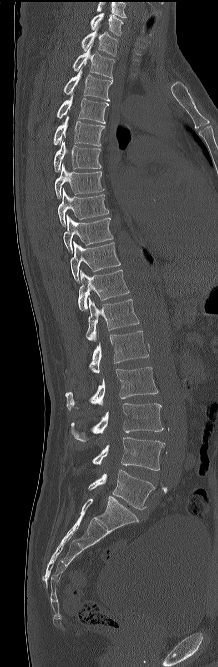
Spine computed tomography — sagittal view
Columns x1, y1, x2, y2 give each box's top-left and bottom-right pixels.
Labels in this scan begin with C7 at the top and end with L5 at the bottom.
| vertebra | x1 | y1 | x2 | y2 |
|---|---|---|---|---|
| C7 | 90 | 13 | 123 | 35 |
| T1 | 81 | 25 | 117 | 56 |
| T2 | 72 | 44 | 114 | 81 |
| T3 | 64 | 68 | 111 | 100 |
| T4 | 57 | 94 | 108 | 123 |
| T5 | 53 | 116 | 104 | 146 |
| T6 | 54 | 140 | 101 | 172 |
| T7 | 55 | 163 | 104 | 199 |
| T8 | 58 | 189 | 108 | 225 |
| T9 | 63 | 215 | 113 | 253 |
| T10 | 70 | 241 | 120 | 282 |
| T11 | 78 | 269 | 129 | 310 |
| T12 | 86 | 297 | 139 | 342 |
| L1 | 89 | 331 | 148 | 373 |
| L2 | 65 | 367 | 157 | 410 |
| L3 | 71 | 403 | 163 | 441 |
| L4 | 92 | 437 | 165 | 470 |
| L5 | 88 | 470 | 154 | 509 |